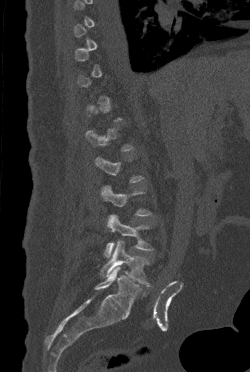
Spine CT. sagittal reformat. W/L 1800/400 HU
Boxes: x1:y1:x2:y2 in pixels.
A vertebra gets a box only on the slices from the first to the last where its cross-section is at least a third of its largest; on a slice outside that range it gets none.
L5: 101:240:149:286
L4: 104:214:153:257